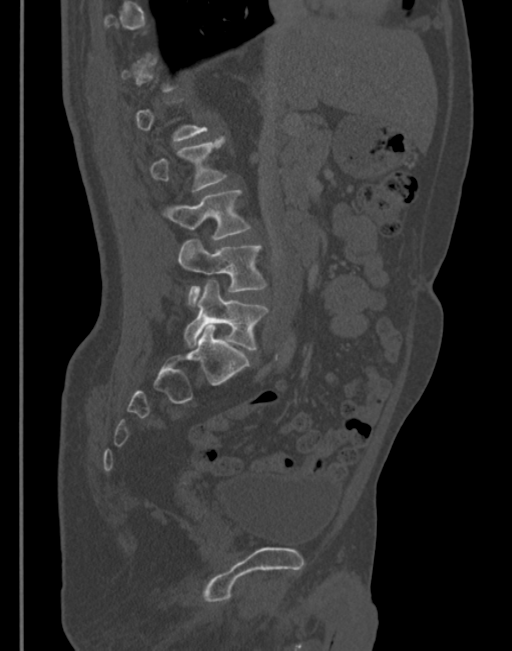
CT, spine · sagittal reformat · W/L 1800/400 HU · 512x651 px

Each row gives a vertebra's box as x1, y1, x2, y2 in pixels: top-left corner, then bottom-right corner.
A vertebra gets a box only on the slices from the first to the last where its cross-section is at least a third of its largest; on a slice outside that range it gets none.
| vertebra | x1 | y1 | x2 | y2 |
|---|---|---|---|---|
| L5 | 184 | 281 | 267 | 350 |
| L4 | 178 | 240 | 267 | 306 |
| L3 | 162 | 189 | 251 | 240 |
| L2 | 150 | 138 | 226 | 191 |